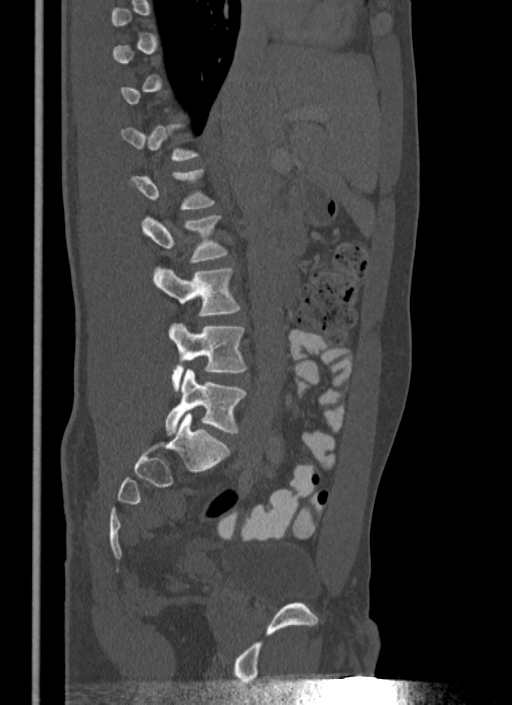 CT; sagittal view; W/L 1800/400 HU; image width 340 mm; 512x705 px
Each vertebra maps to its box as [x1, y1, x2, y2], the pixel coordinates of its top-left and bottom-right corners.
A vertebra is boxed only from the first to the last slice where its cross-section is at least a third of its largest; slices outside that range leave it without a box.
{"vertebrae":{"L5":[165,369,246,436],"L4":[168,322,246,391],"L3":[153,267,240,315],"L2":[141,215,228,263]}}